CT, spine · image width 340 mm · sagittal plane, index 258
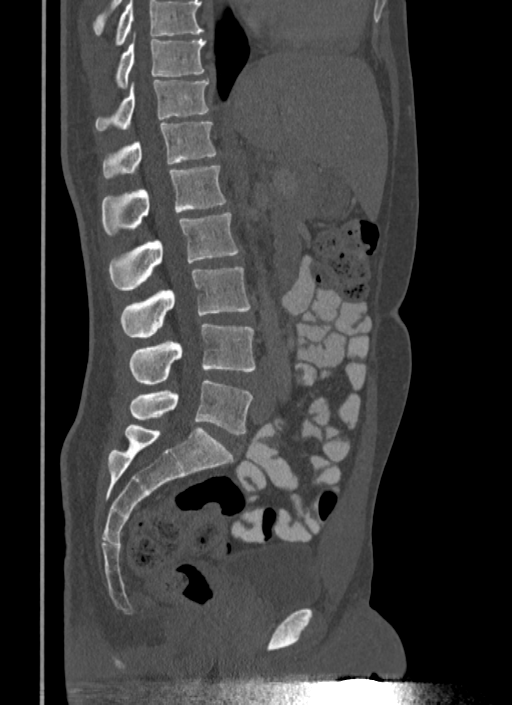 Boxes are given in columns x1, y1, x2, y2, the pixel coordinates of their top-left and bottom-right corners.
No box is given to a vertebra that the top edge of the scan cuts off.
| vertebra | x1 | y1 | x2 | y2 |
|---|---|---|---|---|
| T10 | 116 | 35 | 205 | 88 |
| T11 | 95 | 80 | 210 | 132 |
| T12 | 102 | 122 | 216 | 178 |
| L1 | 102 | 166 | 226 | 234 |
| L2 | 108 | 212 | 238 | 290 |
| L3 | 120 | 267 | 250 | 338 |
| L4 | 129 | 324 | 255 | 385 |
| L5 | 129 | 379 | 252 | 434 |